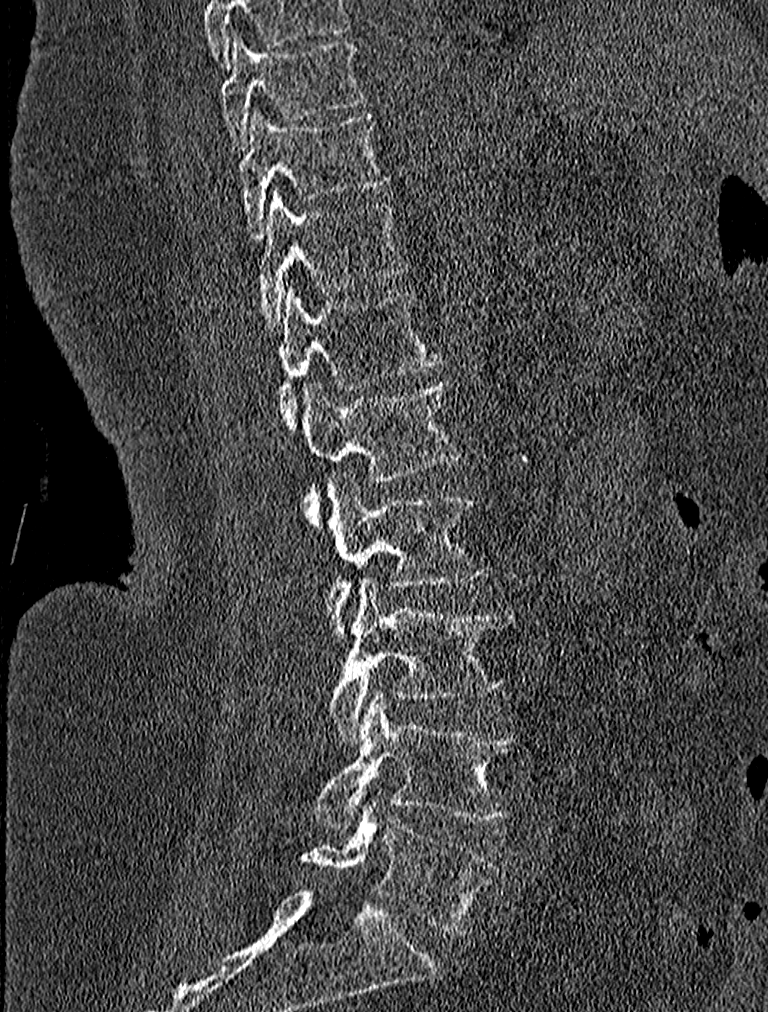
Spine CT — sagittal view. Coordinates as <box>x1,y1,x2,y2</box>.
Vertebra bounding boxes:
- T9: <box>219,33,363,148</box>
- T10: <box>239,110,390,237</box>
- T11: <box>254,187,407,331</box>
- T12: <box>277,285,441,430</box>
- L1: <box>303,379,461,526</box>
- L2: <box>327,473,488,637</box>
- L3: <box>330,577,512,742</box>
- L4: <box>313,691,522,826</box>
- L5: <box>300,801,502,934</box>